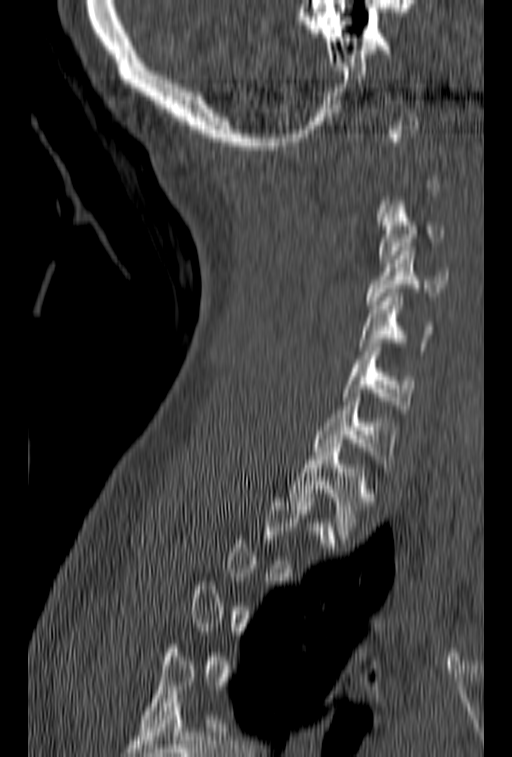

CT spine — sagittal view — W/L 1800/400 HU
Not every vertebra on this slice has a box: a vertebra is boxed only from the first to the last slice where its cross-section is at least a third of its largest, and this slice is outside that range for at least one of them.
<vertebrae><v name="T1" x1="290" y1="443" x2="376" y2="534"/><v name="C7" x1="312" y1="393" x2="395" y2="472"/><v name="C6" x1="343" y1="343" x2="415" y2="413"/><v name="C5" x1="359" y1="293" x2="434" y2="350"/><v name="C4" x1="366" y1="247" x2="449" y2="309"/><v name="C3" x1="378" y1="197" x2="445" y2="263"/></vertebrae>